CT; Sagittal slice 246/556
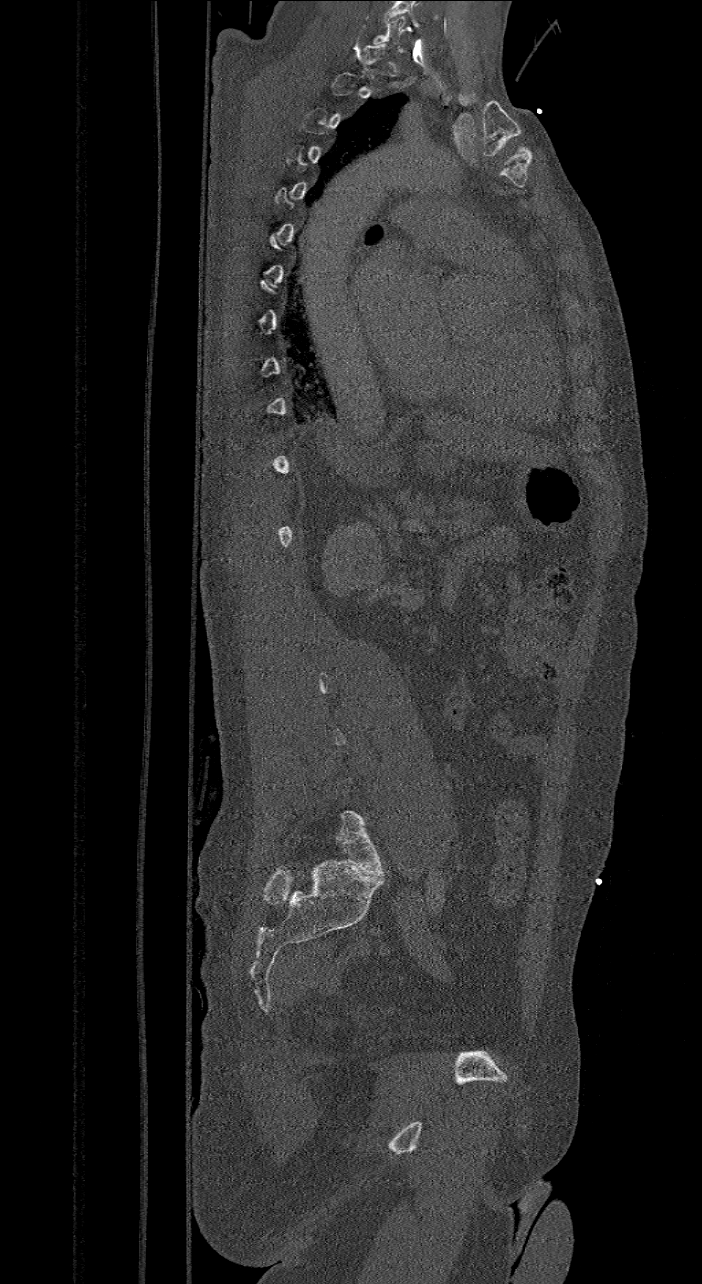 A vertebra is boxed only from the first to the last slice where its cross-section is at least a third of its largest; slices outside that range leave it without a box.
These labels give the spine a sixth lumbar vertebra, L6, below L5.
<vertebrae><v name="L6" x1="337" y1="810" x2="384" y2="875"/><v name="C7" x1="371" y1="16" x2="405" y2="52"/></vertebrae>